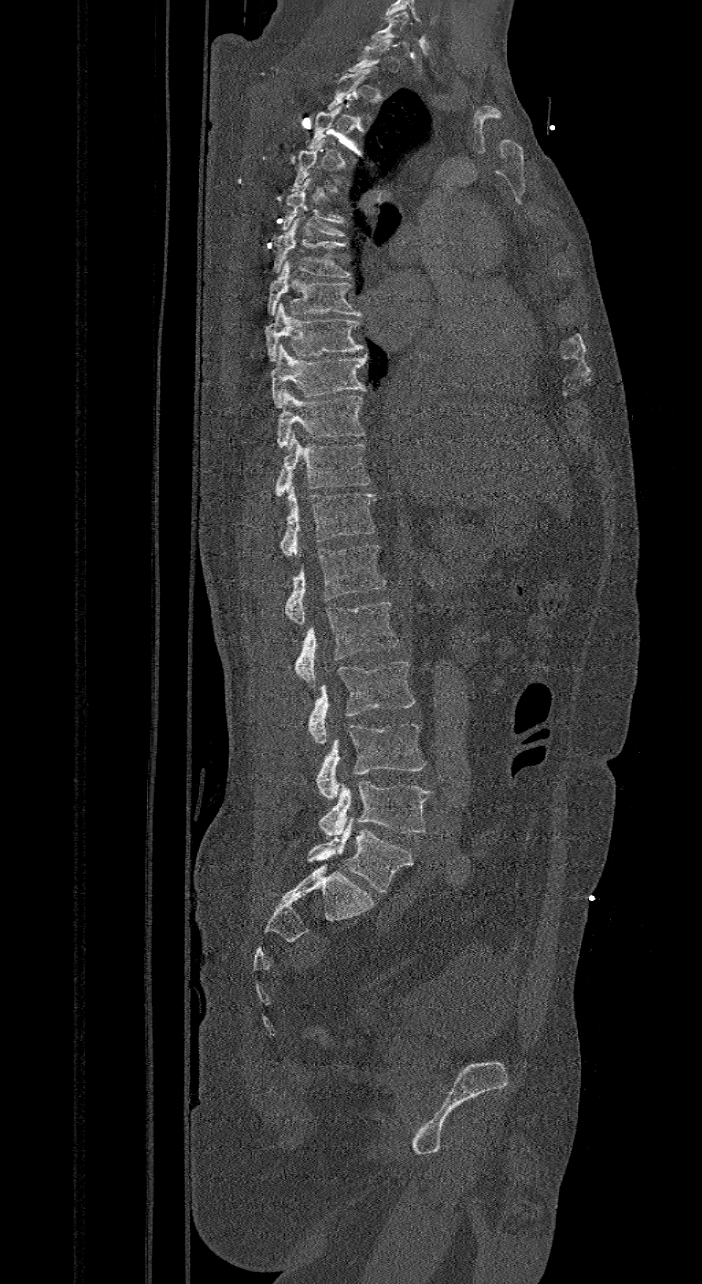
Spine computed tomography · sagittal view
Box values are [left, top, right, bottom] in pixels.
A vertebra is boxed only from the first to the last slice where its cross-section is at least a third of its largest; slices outside that range leave it without a box.
These labels give the spine a sixth lumbar vertebra, L6, below L5.
{"vertebrae":{"L6":[307,818,413,892],"L5":[318,781,432,837],"L4":[317,724,425,799],"L3":[308,661,416,744],"L2":[295,600,399,687],"L1":[285,545,385,624],"T12":[280,483,375,557],"T11":[275,432,370,496],"T10":[277,389,365,447],"T9":[271,343,366,406],"T8":[264,302,364,361],"T7":[267,260,362,316],"T6":[273,217,353,277],"T5":[281,177,346,237],"C7":[369,11,409,46]}}